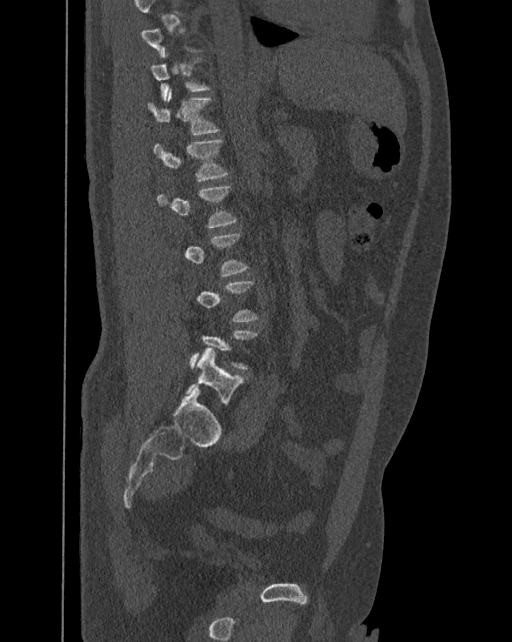
CT, spine; sagittal view

Boxes: x1:y1:x2:y2 in pixels.
Each vertebra is boxed only on the slices from the first to the last where its cross-section reaches a third of its largest, so a slice outside that range leaves it unboxed.
These labels give the spine a sixth lumbar vertebra, L6, below L5.
Vertebra bounding boxes:
- T11: 151:58:210:101
- T12: 147:89:220:134
- L1: 154:139:229:181
- L2: 157:186:237:228
- L6: 185:347:244:405